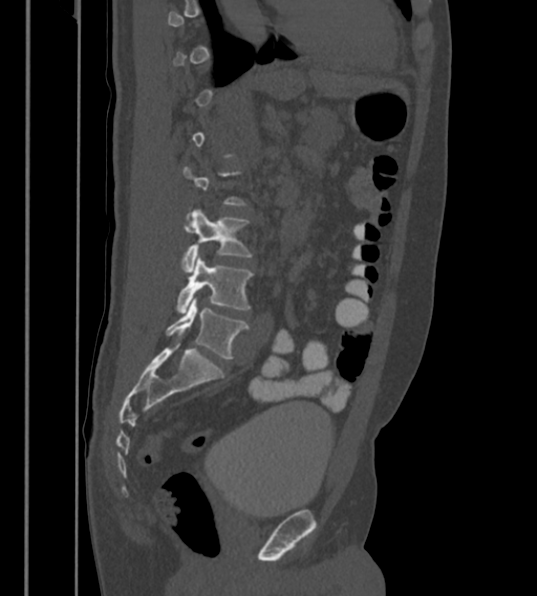 Spine CT — image 430 mm wide — sagittal view
Each box is [x1, y1, x2, y2] in pixels: top-left corner, then bottom-right corner.
A vertebra is boxed only from the first to the last slice where its cross-section is at least a third of its largest; slices outside that range leave it without a box.
The labels name a sixth lumbar vertebra for this spine: L6, after L5.
{"vertebrae":{"L4":[181,210,250,271],"L5":[176,255,252,313],"L6":[166,296,248,359]}}